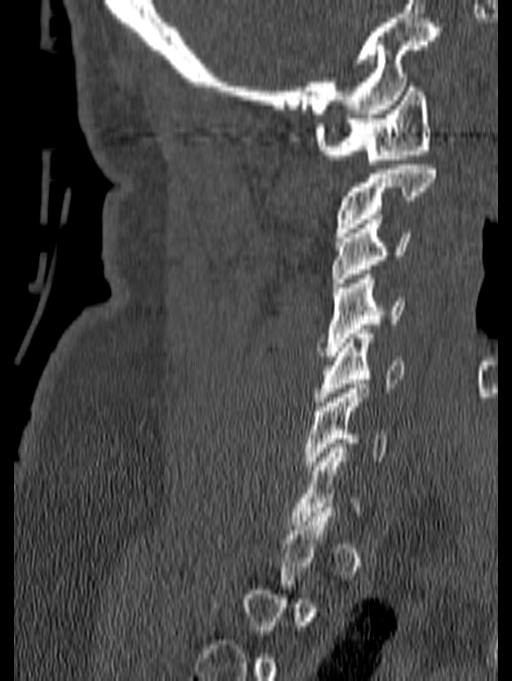
Spine computed tomography; sagittal view; Bone window (WL 400, WW 1800); 512x681 px. Boxes: x1:y1:x2:y2 in pixels. A vertebra is boxed only from the first to the last slice where its cross-section is at least a third of its largest; slices outside that range leave it without a box. 6 vertebrae labeled — C1 at 315:82:431:164; C2 at 335:165:436:237; C3 at 331:219:412:287; C4 at 318:270:404:356; C5 at 315:329:404:406; C6 at 305:384:388:470.